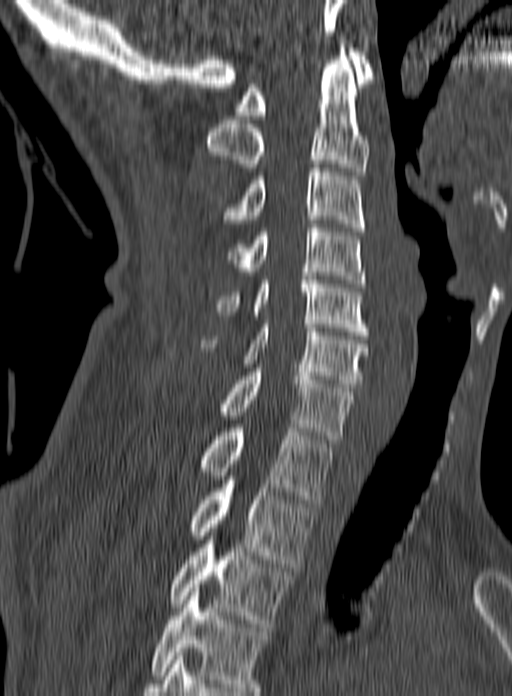
Spine CT · sagittal view. Boxes are (x1, y1, x2, y2) in pixels.
In this scan, the topmost labeled vertebra is C1 and the lowest is T3.
Vertebra bounding boxes:
- C1: (234, 48, 375, 119)
- C2: (206, 44, 369, 175)
- C3: (218, 164, 365, 231)
- C4: (226, 224, 365, 287)
- C5: (214, 272, 368, 335)
- C6: (201, 324, 368, 387)
- C7: (219, 368, 354, 443)
- T1: (200, 428, 333, 503)
- T2: (189, 480, 314, 567)
- T3: (171, 532, 294, 627)